Spine CT · Sagittal slice 69/199 · bone-window reconstruction · image 199 mm wide · 199x227 px
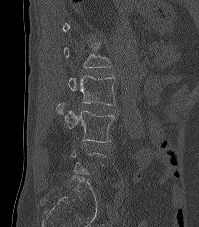

Coordinates as <box>x1,y1,x2,y2</box>.
A vertebra is boxed only from the first to the last slice where its cross-section is at least a third of its largest; slices outside that range leave it without a box.
L2: <box>68,75,116,105</box>
L3: <box>56,103,115,142</box>